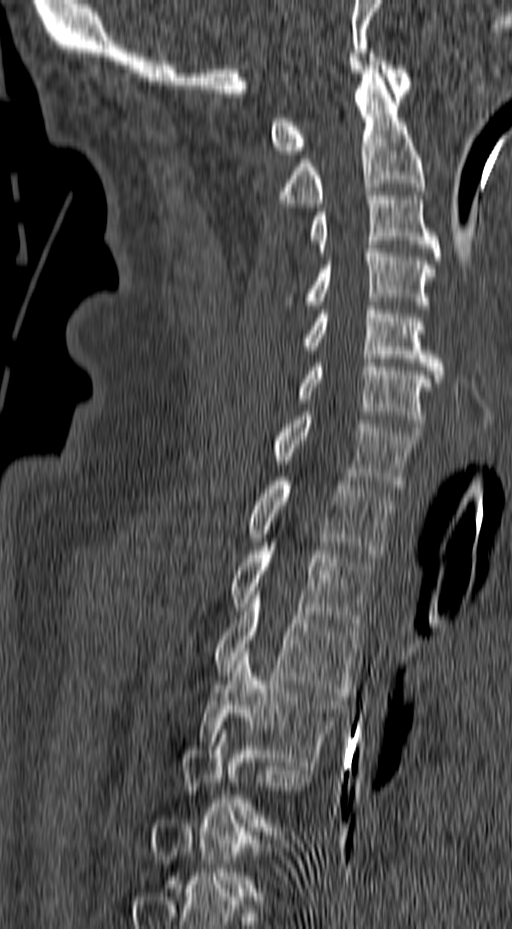 Spine computed tomography. sagittal view. 157 mm across the image. 512x929 px
Boxes are (x1, y1, x2, y2) in pixels.
A vertebra is boxed only from the first to the last slice where its cross-section is at least a third of its largest; slices outside that range leave it without a box.
Vertebra bounding boxes:
- C1: (271, 53, 412, 154)
- C2: (278, 65, 424, 207)
- C3: (311, 188, 441, 260)
- C4: (282, 245, 435, 309)
- C5: (303, 306, 445, 386)
- C6: (298, 359, 433, 431)
- C7: (272, 412, 421, 488)
- T1: (248, 477, 395, 557)
- T2: (229, 534, 375, 627)
- T3: (213, 591, 362, 696)
- T4: (198, 652, 346, 769)